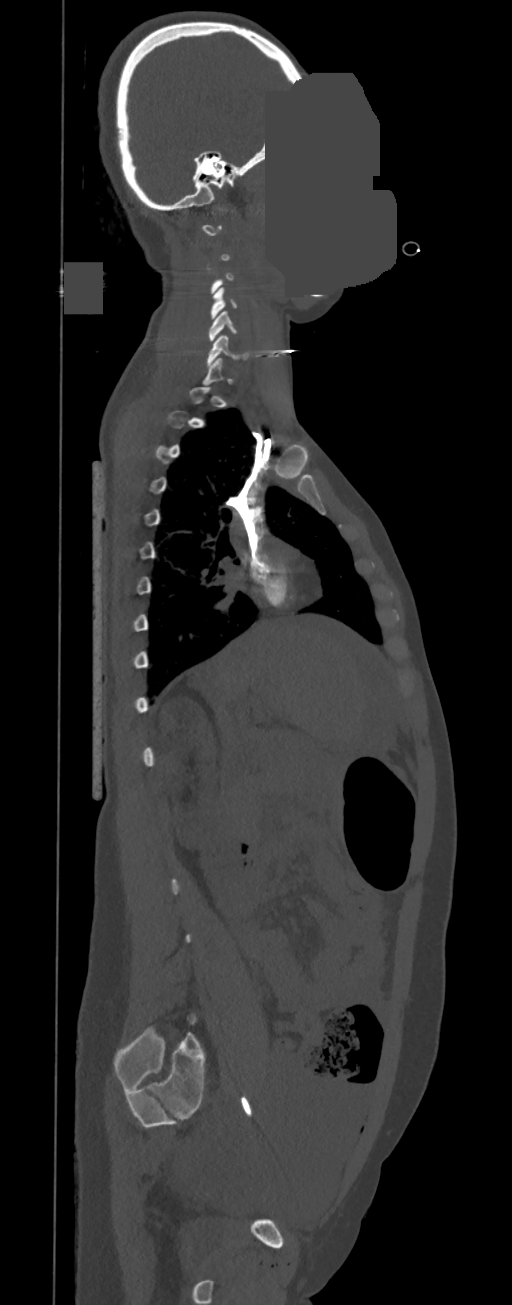

CT, spine — sagittal view — image width 350 mm — bone-window reconstruction — 512x1305 px — part of the image is a flat gray fill, not anatomy

Each box given as x1,y1,x2,y2. A vertebra is boxed only from the first to the last slice where its cross-section is at least a third of its largest; slices outside that range leave it without a box. 3 vertebrae labeled — C6 at x1=206, y1=334, x2=248, y2=366; C5 at x1=208, y1=311, x2=237, y2=340; C4 at x1=210, y1=287, x2=237, y2=319.